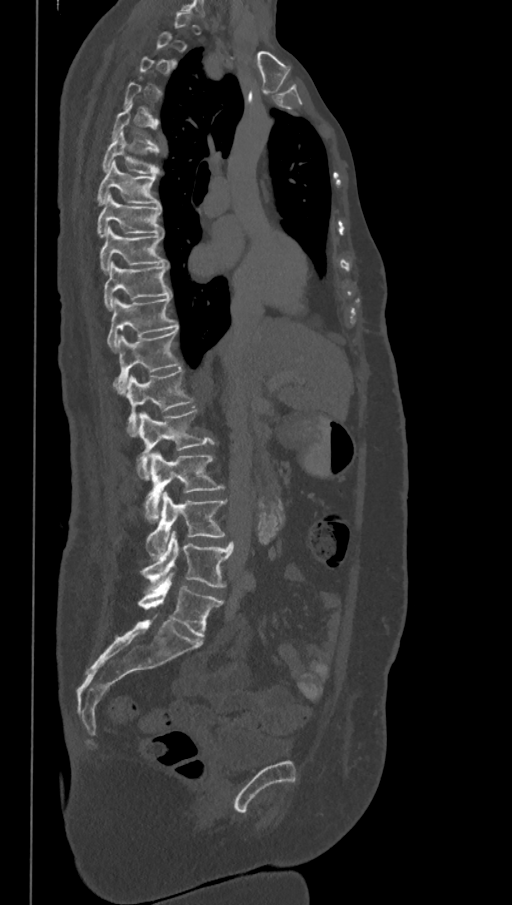
Spine computed tomography; the image spans 368 mm across; sagittal view; Bone window (WL 400, WW 1800). Each row gives a vertebra's box as x1, y1, x2, y2 in pixels: top-left corner, then bottom-right corner.
A vertebra is boxed only from the first to the last slice where its cross-section is at least a third of its largest; slices outside that range leave it without a box.
In these labels the spine has an L6, a sixth lumbar vertebra below L5.
| vertebra | x1 | y1 | x2 | y2 |
|---|---|---|---|---|
| L6 | 138 | 573 | 223 | 638 |
| L5 | 140 | 531 | 234 | 589 |
| L4 | 146 | 492 | 227 | 557 |
| L3 | 144 | 452 | 224 | 522 |
| L2 | 138 | 408 | 214 | 479 |
| L1 | 126 | 367 | 194 | 436 |
| T12 | 114 | 328 | 181 | 393 |
| T11 | 107 | 296 | 178 | 352 |
| T10 | 104 | 262 | 171 | 310 |
| T9 | 100 | 227 | 169 | 272 |
| T8 | 97 | 193 | 163 | 237 |
| T7 | 96 | 162 | 160 | 204 |
| T6 | 101 | 131 | 160 | 174 |
| T5 | 111 | 104 | 159 | 147 |